CT. sagittal view. bone-window reconstruction. 512x845 px. image width 384 mm
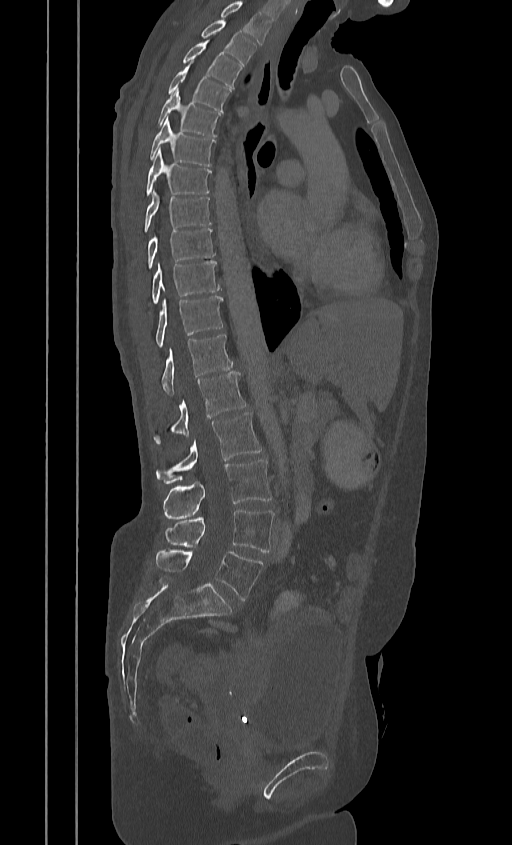

Labels in this scan begin with T2 at the top and end with L5 at the bottom.
<vertebrae><v name="T2" x1="201" y1="20" x2="255" y2="66"/><v name="T3" x1="182" y1="40" x2="241" y2="87"/><v name="T4" x1="168" y1="64" x2="229" y2="111"/><v name="T5" x1="157" y1="89" x2="220" y2="136"/><v name="T6" x1="149" y1="117" x2="215" y2="166"/><v name="T7" x1="145" y1="148" x2="211" y2="195"/><v name="T8" x1="144" y1="189" x2="211" y2="232"/><v name="T9" x1="148" y1="228" x2="215" y2="268"/><v name="T10" x1="152" y1="260" x2="219" y2="303"/><v name="T11" x1="156" y1="296" x2="223" y2="347"/><v name="T12" x1="162" y1="335" x2="232" y2="396"/><v name="L1" x1="156" y1="372" x2="245" y2="440"/><v name="L2" x1="156" y1="412" x2="261" y2="483"/><v name="L3" x1="162" y1="460" x2="271" y2="519"/><v name="L4" x1="165" y1="509" x2="273" y2="552"/><v name="L5" x1="156" y1="548" x2="263" y2="600"/></vertebrae>